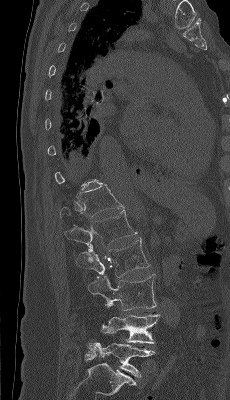
Spine CT. sagittal view. image 230 mm wide. 230x400 px

Each box is [x1, y1, x2, y2] in pixels: top-left corner, then bottom-right corner.
Each vertebra is boxed only on the slices from the first to the last where its cross-section reaches a third of its largest, so a slice outside that range leaves it unboxed.
{"vertebrae":{"T12":[58,184,124,218],"L1":[65,209,137,246],"L2":[76,237,150,277],"L3":[88,274,156,310],"L4":[99,303,160,343],"L5":[89,343,155,377]}}